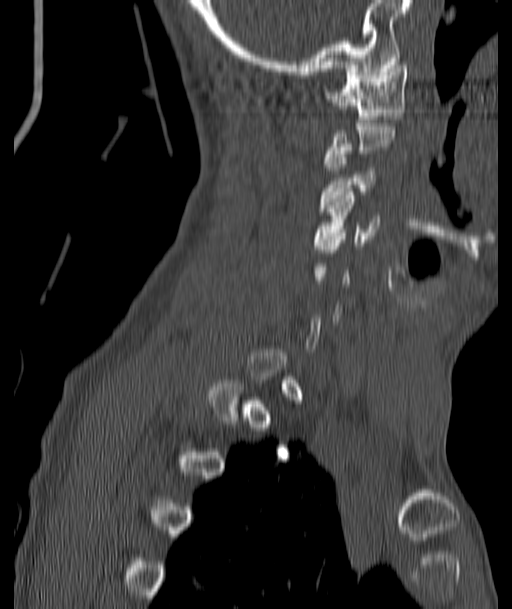

Computed tomography of the spine; sagittal view; W/L 1800/400 HU

Box edges are left/top/right/bottom in pixels.
A vertebra is boxed only from the first to the last slice where its cross-section is at least a third of its largest; slices outside that range leave it without a box.
| vertebra | x1 | y1 | x2 | y2 |
|---|---|---|---|---|
| C4 | 315 | 192 | 378 | 245 |
| C3 | 321 | 151 | 375 | 208 |
| C1 | 327 | 65 | 408 | 122 |